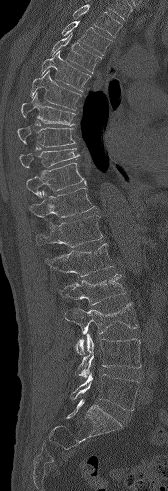 CT, spine; sagittal view; bone-window reconstruction; 168x491 px

Each box given as x1,y1,x2,y2.
A vertebra cut off by the top edge of the scan is not labeled and has no box.
T3: x1=61, y1=21, x2=112, y2=55
T4: x1=50, y1=33, x2=101, y2=73
T5: x1=41, y1=50, x2=91, y2=91
T6: x1=30, y1=70, x2=81, y2=110
T7: x1=21, y1=93, x2=75, y2=125
T8: x1=17, y1=125, x2=75, y2=147
T9: x1=19, y1=148, x2=79, y2=167
T10: x1=26, y1=163, x2=86, y2=197
T11: x1=29, y1=187, x2=95, y2=217
T12: x1=36, y1=215, x2=102, y2=247
L1: x1=45, y1=243, x2=114, y2=276
L2: x1=54, y1=274, x2=126, y2=305
L3: x1=65, y1=302, x2=137, y2=354
L4: x1=75, y1=333, x2=141, y2=377
L5: x1=71, y1=373, x2=139, y2=410